Spine computed tomography; Sagittal slice 32/61; image width 194 mm
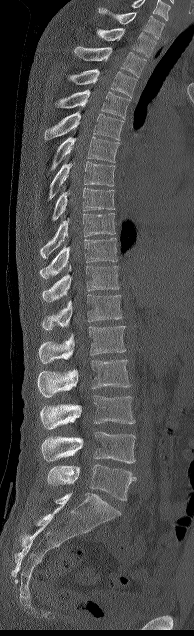 Columns x1, y1, x2, y2 give each box's top-left and bottom-right pixels.
| vertebra | x1 | y1 | x2 | y2 |
|---|---|---|---|---|
| C7 | 99 | 8 | 164 | 39 |
| T1 | 96 | 28 | 156 | 57 |
| T2 | 75 | 46 | 146 | 77 |
| T3 | 71 | 69 | 136 | 97 |
| T4 | 55 | 89 | 129 | 118 |
| T5 | 44 | 112 | 123 | 140 |
| T6 | 51 | 136 | 119 | 170 |
| T7 | 48 | 161 | 115 | 200 |
| T8 | 52 | 187 | 113 | 220 |
| T9 | 40 | 213 | 115 | 260 |
| T10 | 40 | 238 | 117 | 279 |
| T11 | 42 | 266 | 119 | 302 |
| T12 | 42 | 294 | 122 | 330 |
| L1 | 39 | 326 | 125 | 363 |
| L2 | 37 | 359 | 130 | 397 |
| L3 | 40 | 395 | 134 | 429 |
| L4 | 41 | 431 | 135 | 463 |
| L5 | 47 | 464 | 136 | 500 |